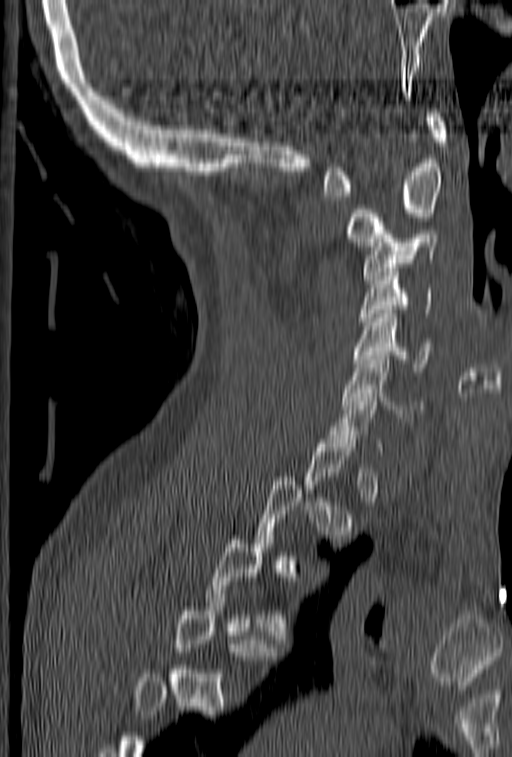
CT. sagittal view. the image spans 153 mm across. Boxes are (x1, y1, x2, y2) in pixels. A vertebra is boxed only from the first to the last slice where its cross-section is at least a third of its largest; slices outside that range leave it without a box. 7 vertebrae labeled — C7 at (324, 389, 382, 451); C6 at (343, 356, 422, 421); C5 at (353, 310, 429, 371); C4 at (359, 264, 432, 329); C3 at (363, 230, 439, 283); C2 at (346, 130, 442, 250); C1 at (322, 109, 447, 196).